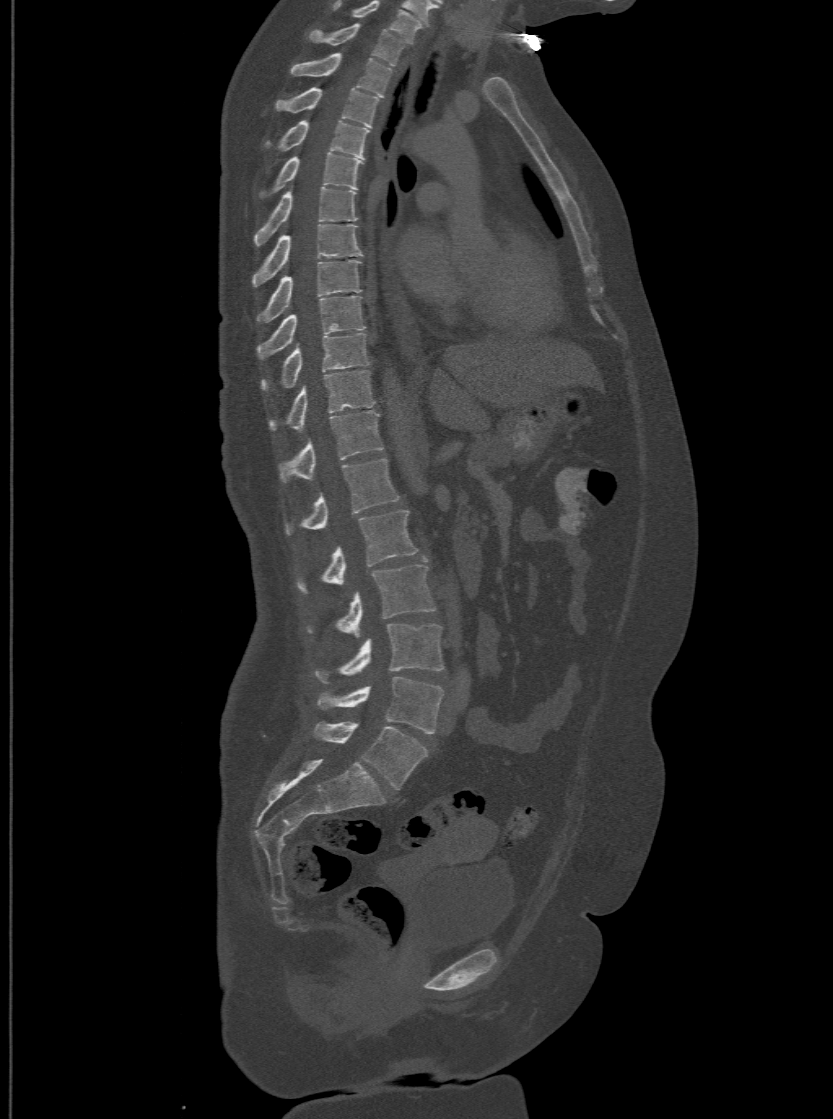
CT spine — sagittal view — bone window

Bounding boxes as [x1, y1, x2, y2] in pixel coordinates. The highest labeled vertebra in this scan is T1; the lowest is L6. The labels name a sixth lumbar vertebra for this spine: L6, after L5. The labeled vertebrae in this slice are: L6 at [312, 723, 427, 788], L5 at [317, 676, 442, 733], L4 at [316, 624, 443, 683], L3 at [306, 557, 435, 635], L2 at [296, 508, 417, 593], L1 at [285, 457, 399, 534], T12 at [278, 410, 383, 481], T11 at [269, 370, 373, 429], T10 at [262, 332, 368, 391], T9 at [257, 295, 365, 357], T8 at [260, 258, 360, 321], T7 at [252, 223, 362, 286], T6 at [256, 187, 357, 244], T5 at [259, 152, 362, 197], T4 at [265, 120, 368, 157], T3 at [275, 85, 377, 126], T2 at [290, 52, 391, 96], T1 at [308, 22, 403, 64].